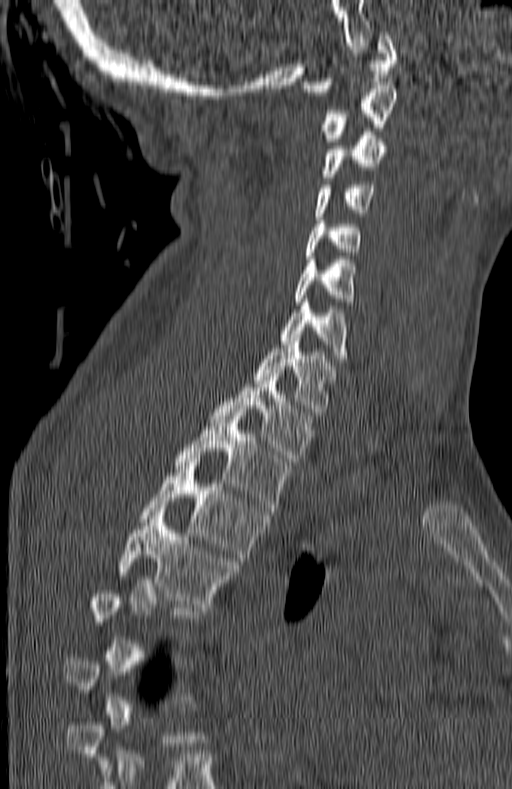
CT · sagittal reformat · 180 mm image width · 512x789 px
Each row gives a vertebra's box as x1, y1, x2, y2 in pixels: top-left corner, then bottom-right corner.
Each vertebra is boxed only on the slices from the first to the last where its cross-section reaches a third of its largest, so a slice outside that range leaves it unboxed.
| vertebra | x1 | y1 | x2 | y2 |
|---|---|---|---|---|
| C1 | 302 | 32 | 398 | 95 |
| C2 | 322 | 85 | 398 | 141 |
| C3 | 322 | 132 | 384 | 180 |
| C4 | 317 | 185 | 376 | 216 |
| C5 | 305 | 217 | 361 | 259 |
| C6 | 294 | 256 | 353 | 305 |
| C7 | 280 | 299 | 347 | 362 |
| T1 | 254 | 338 | 336 | 419 |
| T2 | 211 | 373 | 310 | 461 |
| T3 | 174 | 412 | 290 | 511 |
| T4 | 140 | 459 | 267 | 561 |
| T5 | 118 | 512 | 236 | 611 |